CT, spine. sagittal plane, index 46. image width 473 mm. W/L 1800/400 HU
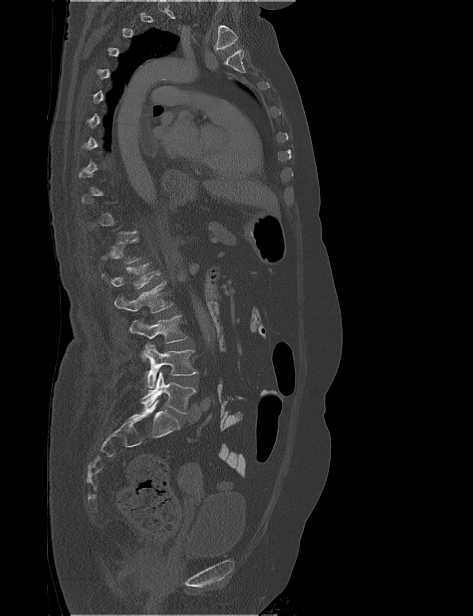

A vertebra is boxed only from the first to the last slice where its cross-section is at least a third of its largest; slices outside that range leave it without a box.
<vertebrae><v name="L1" x1="101" y1="263" x2="162" y2="289"/><v name="L2" x1="114" y1="281" x2="173" y2="313"/><v name="L3" x1="129" y1="314" x2="188" y2="360"/><v name="L4" x1="143" y1="344" x2="198" y2="388"/><v name="L5" x1="140" y1="372" x2="196" y2="413"/></vertebrae>